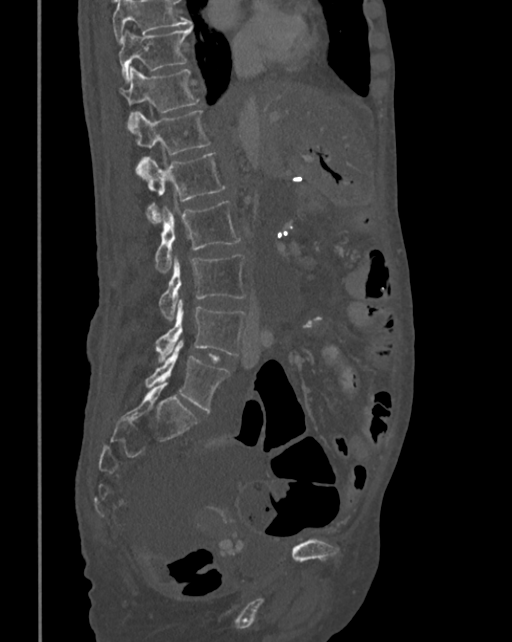

Spine computed tomography. sagittal view. W/L 1800/400 HU. 512x642 px

Box edges are left/top/right/bottom in pixels. Where the top of the scan cuts through a vertebra, that vertebra gets no label or box. 8 vertebrae labeled — T10 at left=118, top=26, right=192, bottom=82; T11 at left=121, top=68, right=199, bottom=127; T12 at left=128, top=110, right=211, bottom=177; L1 at left=145, top=152, right=225, bottom=222; L2 at left=154, top=201, right=241, bottom=271; L3 at left=158, top=255, right=246, bottom=320; L4 at left=155, top=300, right=246, bottom=361; L5 at left=145, top=341, right=229, bottom=411.